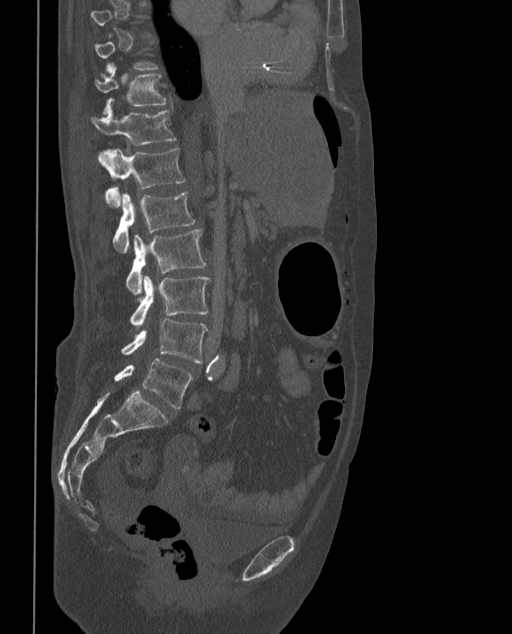

Computed tomography of the spine; sagittal view; bone window; 512x634 px

Each vertebra is boxed only on the slices from the first to the last where its cross-section reaches a third of its largest, so a slice outside that range leaves it unboxed.
The labels name a sixth lumbar vertebra for this spine: L6, after L5.
<vertebrae><v name="T11" x1="95" y1="65" x2="166" y2="114"/><v name="T12" x1="90" y1="109" x2="176" y2="146"/><v name="L1" x1="99" y1="148" x2="185" y2="208"/><v name="L2" x1="112" y1="191" x2="195" y2="252"/><v name="L3" x1="126" y1="229" x2="206" y2="294"/><v name="L4" x1="130" y1="275" x2="210" y2="326"/><v name="L5" x1="121" y1="319" x2="207" y2="362"/><v name="L6" x1="114" y1="358" x2="192" y2="409"/></vertebrae>